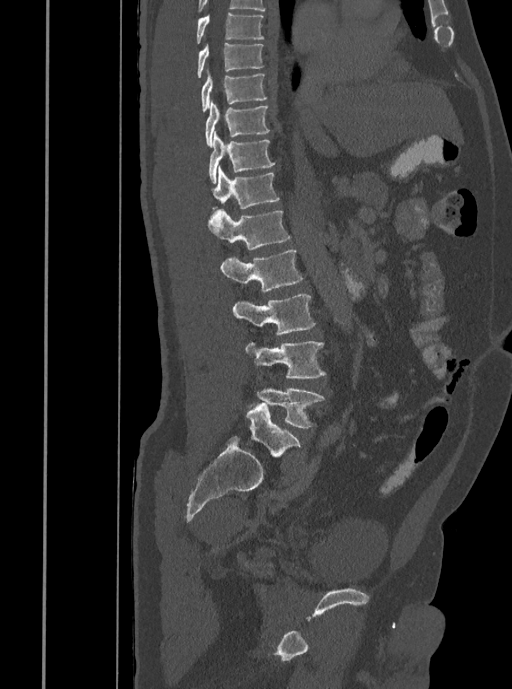
CT spine — sagittal view — bone-window reconstruction
Each row gives a vertebra's box as x1, y1, x2, y2 in pixels: top-left corner, then bottom-right corner.
| vertebra | x1 | y1 | x2 | y2 |
|---|---|---|---|---|
| L5 | 257 | 387 | 324 | 428 |
| L4 | 246 | 341 | 325 | 378 |
| L3 | 232 | 294 | 315 | 334 |
| L2 | 220 | 250 | 303 | 292 |
| L1 | 208 | 209 | 290 | 249 |
| T12 | 211 | 166 | 279 | 209 |
| T11 | 208 | 131 | 275 | 183 |
| T10 | 204 | 101 | 269 | 147 |
| T9 | 201 | 69 | 266 | 112 |
| T8 | 197 | 43 | 264 | 78 |
| T7 | 196 | 12 | 264 | 43 |